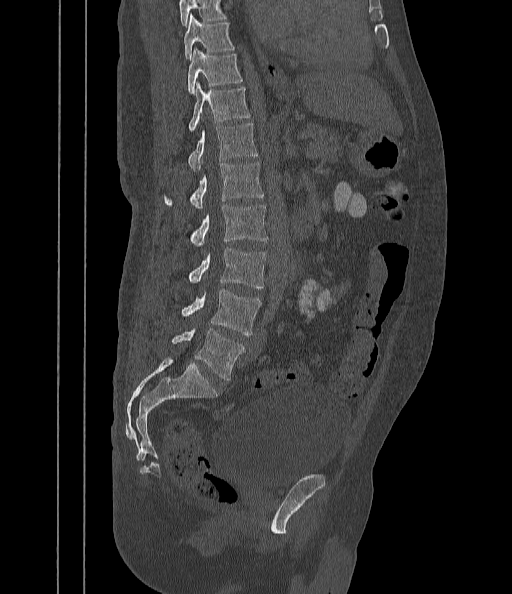
Spine computed tomography; sagittal reformat; bone-window reconstruction; 512x594 px

Each box given as x1,y1,x2,y2.
Vertebrae that run past the top of the scan are left unlabeled.
Vertebra bounding boxes:
- T9: x1=184, y1=16, x2=234, y2=58
- T10: x1=188, y1=49, x2=242, y2=95
- T11: x1=188, y1=82, x2=250, y2=131
- T12: x1=188, y1=123, x2=258, y2=171
- L1: x1=164, y1=162, x2=264, y2=209
- L2: x1=190, y1=205, x2=268, y2=246
- L3: x1=189, y1=248, x2=267, y2=289
- L4: x1=181, y1=290, x2=261, y2=336
- L5: x1=171, y1=328, x2=244, y2=380